CT spine · sagittal view
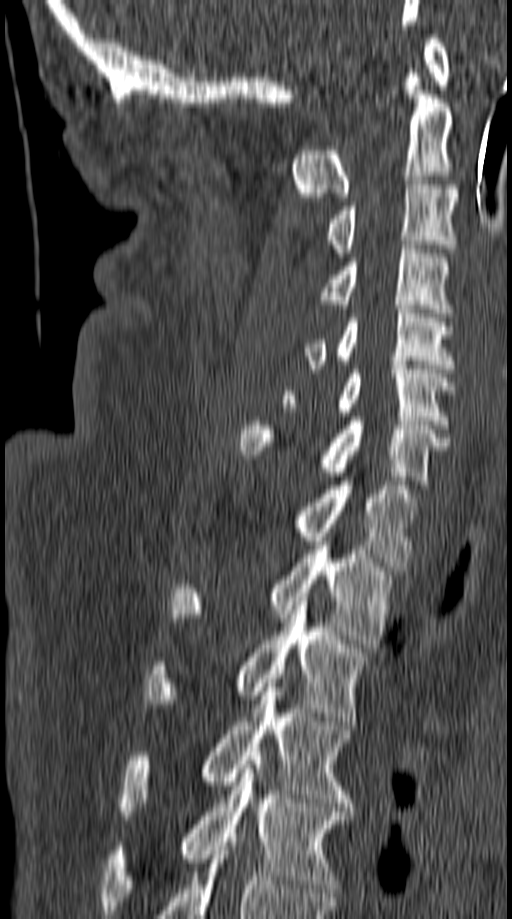 Each box is [x1, y1, x2, y2] in pixels: top-left corner, then bottom-right corner.
{"vertebrae":{"T5":[103,760,350,910],"T4":[118,683,351,815],"T3":[146,597,365,721],"T2":[170,546,389,648],"T1":[300,481,417,566],"C7":[240,417,450,484],"C6":[282,365,454,429],"C5":[304,305,454,373],"C4":[321,245,450,313],"C3":[324,180,457,257],"C2":[290,73,454,197],"C1":[424,34,450,85]}}